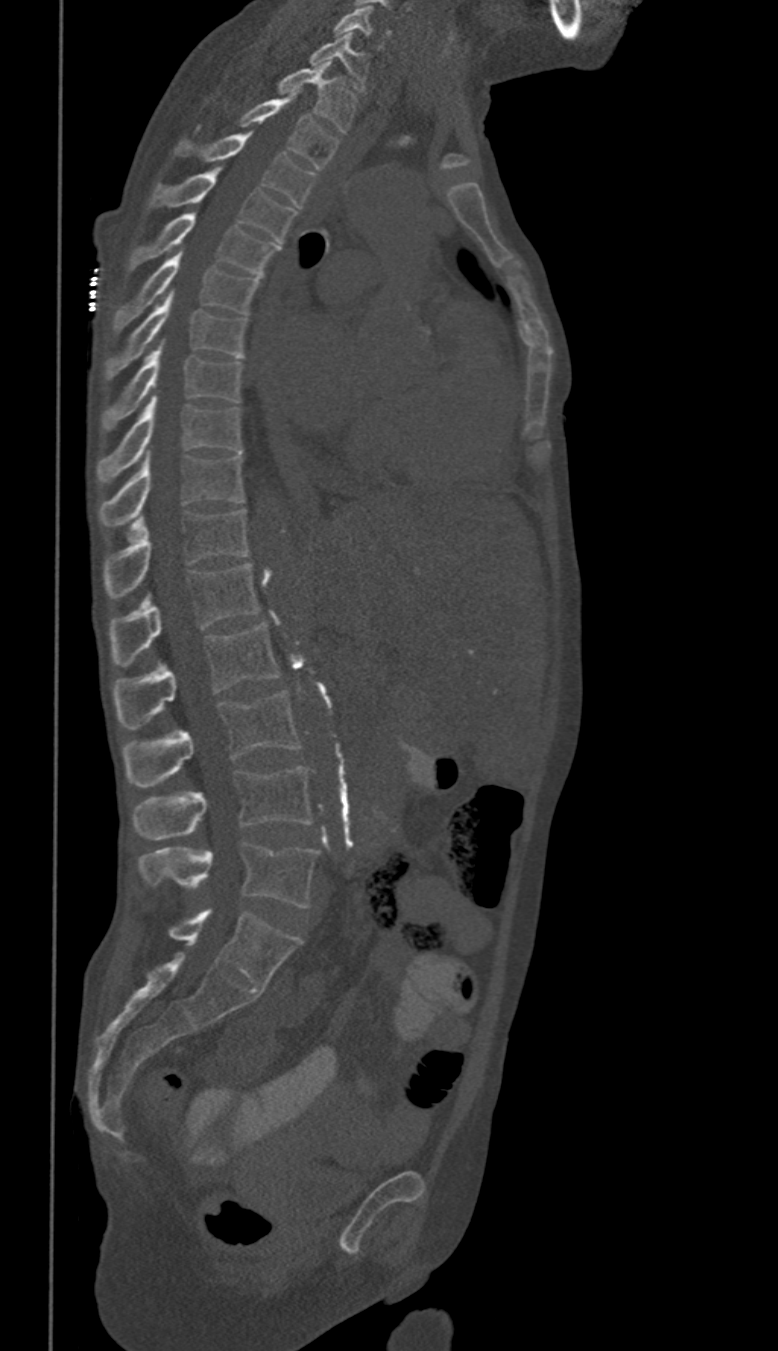

Spine computed tomography · the image is 350 mm wide · sagittal view. Boxes: x1:y1:x2:y2 in pixels.
These labels give this spine no T12: after T11 the next vertebra is L1.
L5: 140:843:318:908
L4: 134:767:312:839
L3: 122:692:298:786
L2: 112:623:279:728
L1: 111:563:259:664
T11: 105:509:248:597
T10: 100:454:244:524
T9: 97:394:244:482
T8: 102:345:244:431
T7: 106:292:245:379
T6: 115:249:259:331
T5: 129:214:279:275
T4: 150:167:297:242
T3: 175:132:313:206
T2: 237:96:336:168
T1: 278:63:356:133
C7: 308:32:368:93
C6: 333:7:389:48